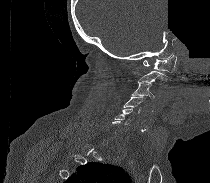 Spine computed tomography — sagittal view — W/L 1800/400 HU — part of the image is constant black where the scan was masked
Each vertebra is boxed only on the slices from the first to the last where its cross-section reaches a third of its largest, so a slice outside that range leaves it unboxed.
<vertebrae><v name="C1" x1="143" y1="55" x2="176" y2="72"/><v name="C3" x1="130" y1="81" x2="158" y2="99"/><v name="C4" x1="123" y1="96" x2="145" y2="112"/><v name="C5" x1="114" y1="107" x2="134" y2="124"/></vertebrae>